CT, spine · sagittal view · bone window · 512x973 px
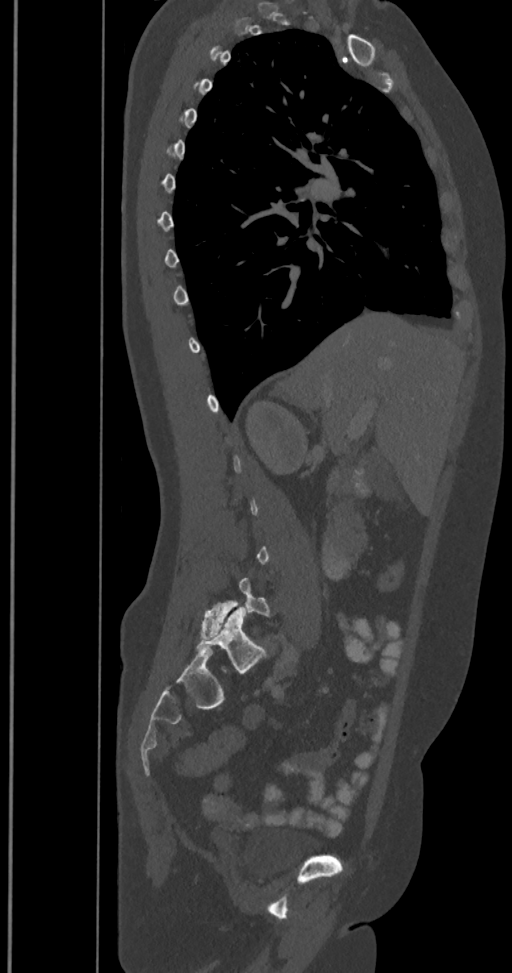

Boxes: x1:y1:x2:y2 in pixels. A vertebra is boxed only from the first to the last slice where its cross-section is at least a third of its largest; slices outside that range leave it without a box. In these labels the spine has an L6, a sixth lumbar vertebra below L5. Vertebrae labeled: L5 at 201:578:269:638, L6 at 197:607:265:672.